CT spine. 408 mm image width. sagittal reformat. Bone window (WL 400, WW 1800). 11 vertebrae labeled in this scan
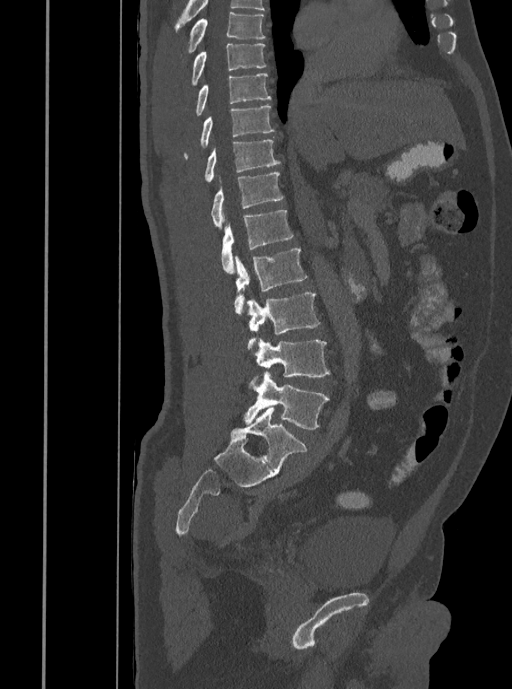

Boxes are (x1, y1, x2, y2) in pixels. 11 vertebrae labeled — L5 at (244, 372, 329, 429); L4 at (255, 339, 330, 377); L3 at (247, 293, 320, 348); L2 at (234, 248, 308, 314); L1 at (221, 210, 294, 272); T12 at (211, 172, 284, 229); T11 at (204, 139, 280, 182); T10 at (183, 105, 274, 158); T9 at (194, 73, 270, 118); T8 at (191, 43, 266, 86); T7 at (186, 11, 265, 53).